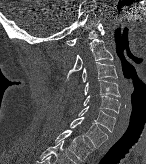

Computed tomography of the spine · sagittal view · 146x164 px
Each box given as x1,y1,x2,y2.
| vertebra | x1 | y1 | x2 | y2 |
|---|---|---|---|---|
| C1 | 65 | 23 | 104 | 46 |
| C2 | 63 | 39 | 113 | 82 |
| C3 | 81 | 62 | 117 | 82 |
| C4 | 84 | 79 | 120 | 96 |
| C5 | 83 | 95 | 120 | 113 |
| C6 | 78 | 106 | 115 | 132 |
| C7 | 70 | 117 | 108 | 147 |
| T1 | 55 | 130 | 92 | 162 |